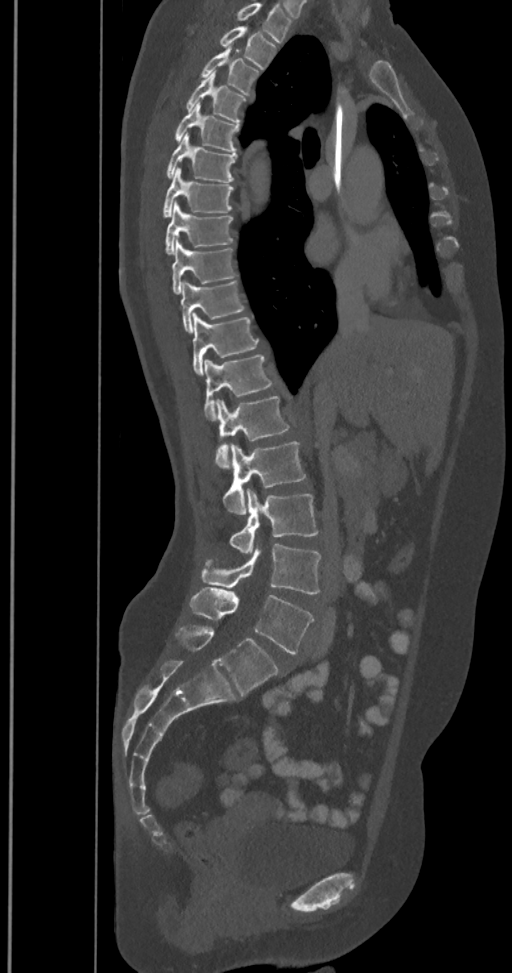

CT, spine — sagittal view — W/L 1800/400 HU — 512x973 px
Each box is [x1, y1, x2, y2] in pixels: top-left corner, then bottom-right corner.
The highest labeled vertebra in this scan is T2; the lowest is L6.
The labels name a sixth lumbar vertebra for this spine: L6, after L5.
{"vertebrae":{"T2":[219,26,275,70],"T3":[202,47,259,96],"T4":[186,72,246,123],"T5":[174,103,239,152],"T6":[167,133,236,182],"T7":[162,167,234,218],"T8":[165,203,233,254],"T9":[171,238,236,294],"T10":[180,282,245,332],"T11":[192,312,259,376],"T12":[205,354,277,420],"L1":[215,396,293,469],"L2":[222,442,306,514],"L3":[229,488,318,553],"L4":[202,542,321,593],"L5":[190,587,313,653],"L6":[175,627,280,695]}}